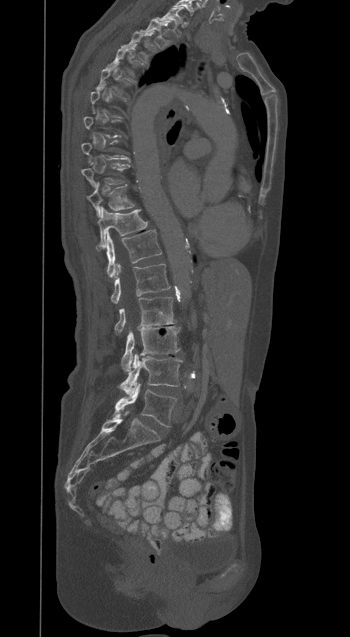

Computed tomography of the spine. sagittal view. 350x637 px
Each vertebra is boxed only on the slices from the first to the last where its cross-section reaches a third of its largest, so a slice outside that range leaves it unboxed.
<vertebrae><v name="T1" x1="156" y1="7" x2="182" y2="35"/><v name="T2" x1="140" y1="18" x2="169" y2="48"/><v name="T3" x1="122" y1="31" x2="157" y2="62"/><v name="T4" x1="108" y1="48" x2="139" y2="77"/><v name="T9" x1="81" y1="163" x2="129" y2="187"/><v name="T10" x1="88" y1="183" x2="134" y2="217"/><v name="T11" x1="98" y1="207" x2="147" y2="247"/><v name="T12" x1="106" y1="230" x2="161" y2="277"/><v name="L1" x1="111" y1="264" x2="170" y2="303"/><v name="L2" x1="114" y1="297" x2="174" y2="334"/><v name="L3" x1="121" y1="326" x2="179" y2="371"/><v name="L4" x1="119" y1="353" x2="181" y2="394"/><v name="L5" x1="114" y1="383" x2="176" y2="426"/></vertebrae>